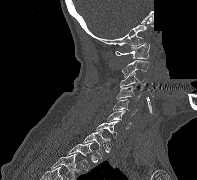 Spine computed tomography; sagittal view; 197x180 px; part of the image has been replaced by a constant value
<vertebrae><v name="T2" x1="67" y1="141" x2="93" y2="171"/><v name="T1" x1="83" y1="129" x2="110" y2="158"/><v name="C7" x1="95" y1="121" x2="119" y2="138"/><v name="C6" x1="107" y1="110" x2="131" y2="128"/><v name="C5" x1="113" y1="99" x2="138" y2="116"/><v name="C4" x1="116" y1="86" x2="141" y2="101"/><v name="C3" x1="120" y1="72" x2="147" y2="91"/><v name="C2" x1="121" y1="60" x2="149" y2="77"/><v name="C1" x1="115" y1="42" x2="149" y2="59"/></vertebrae>